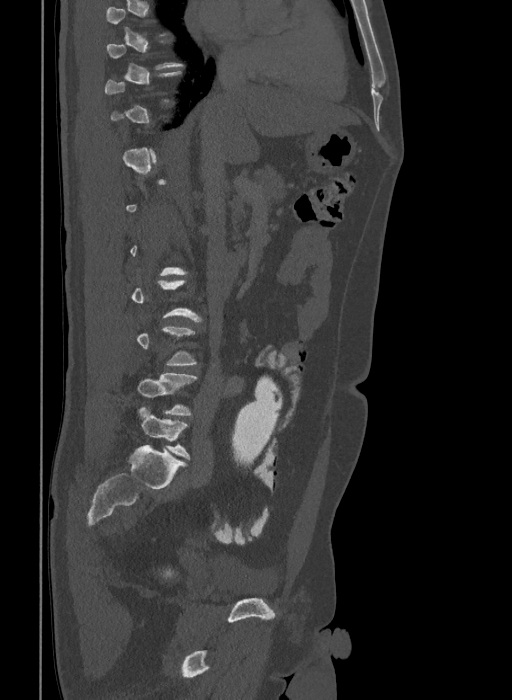

Spine CT. sagittal view. 512x700 px. the image spans 409 mm across

A vertebra gets a box only on the slices from the first to the last where its cross-section is at least a third of its largest; on a slice outside that range it gets none.
These labels give the spine a sixth lumbar vertebra, L6, below L5.
<vertebrae><v name="L6" x1="138" y1="406" x2="190" y2="459"/><v name="L5" x1="138" y1="373" x2="198" y2="415"/></vertebrae>